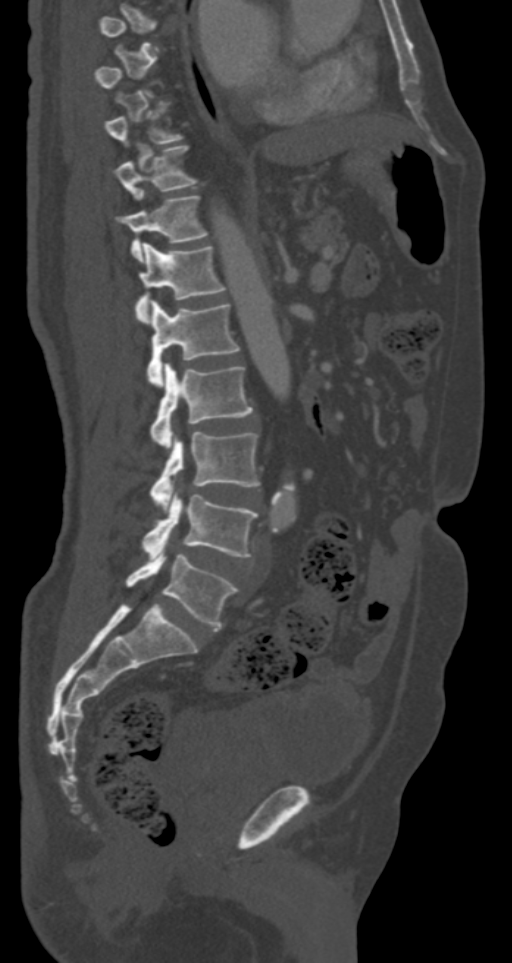
Spine computed tomography · 287 mm wide · sagittal view. Each row gives a vertebra's box as x1, y1, x2, y2 in pixels: top-left corner, then bottom-right corner.
A vertebra is boxed only from the first to the last slice where its cross-section is at least a third of its largest; slices outside that range leave it without a box.
| vertebra | x1 | y1 | x2 | y2 |
|---|---|---|---|---|
| L5 | 126 | 546 | 238 | 630 |
| L4 | 142 | 491 | 257 | 558 |
| L3 | 149 | 431 | 259 | 509 |
| L2 | 149 | 363 | 254 | 449 |
| L1 | 146 | 300 | 239 | 386 |
| T12 | 135 | 242 | 227 | 320 |
| T11 | 116 | 196 | 207 | 261 |
| T10 | 114 | 146 | 197 | 199 |